Spine CT. sagittal reformat. 512x1305 px. scan covers 23 annotated vertebrae. a portion of the image is blanked out (constant pixel value)
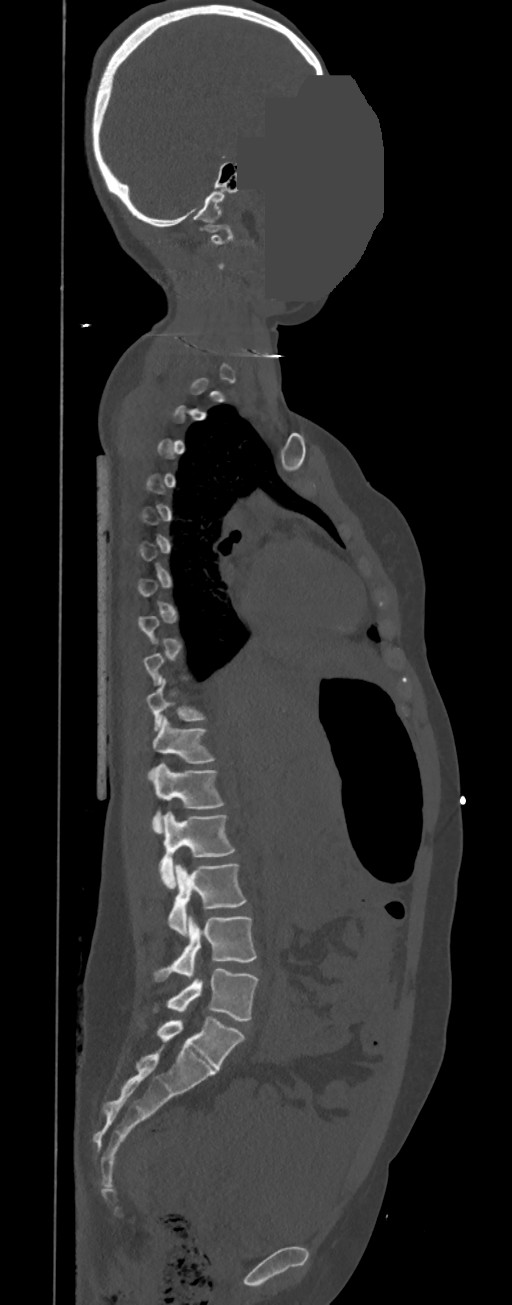 Each vertebra maps to its box as [x1, y1, x2, y2], the pixel coordinates of its top-left and bottom-right corners.
A vertebra is boxed only from the first to the last slice where its cross-section is at least a third of its largest; slices outside that range leave it without a box.
In these labels the thoracic vertebrae end at T11, so L1 follows T11.
{"vertebrae":{"L5":[167,968,258,1019],"L4":[152,915,256,980],"L3":[168,864,246,935],"L2":[159,811,234,889],"L1":[149,764,224,834],"T11":[152,718,214,763],"T10":[146,678,204,730],"C1":[203,225,233,244]}}